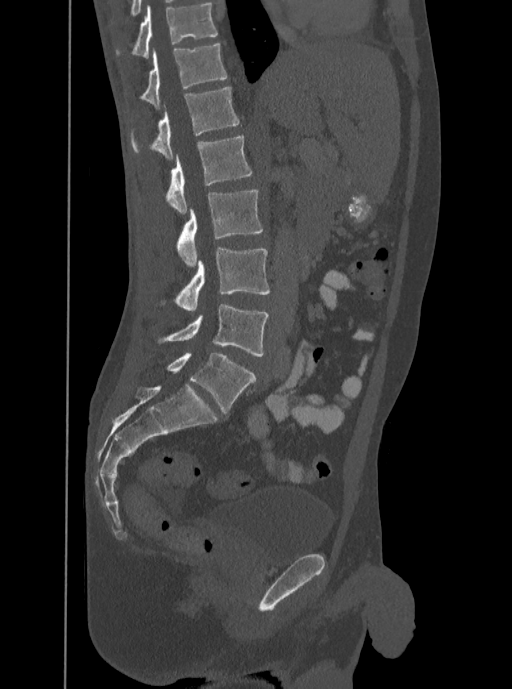
CT, spine. sagittal view
Boxes: x1 y1 x2 y2 (pixel coords, space-separated). In this scan, the topmost labeled vertebra is T12 and the lowest is L5. The labeled vertebrae in this slice are: T12 at 140 43 227 108, L1 at 131 87 239 160, L2 at 166 136 252 214, L3 at 177 190 262 266, L4 at 177 246 269 311, L5 at 158 304 268 356.